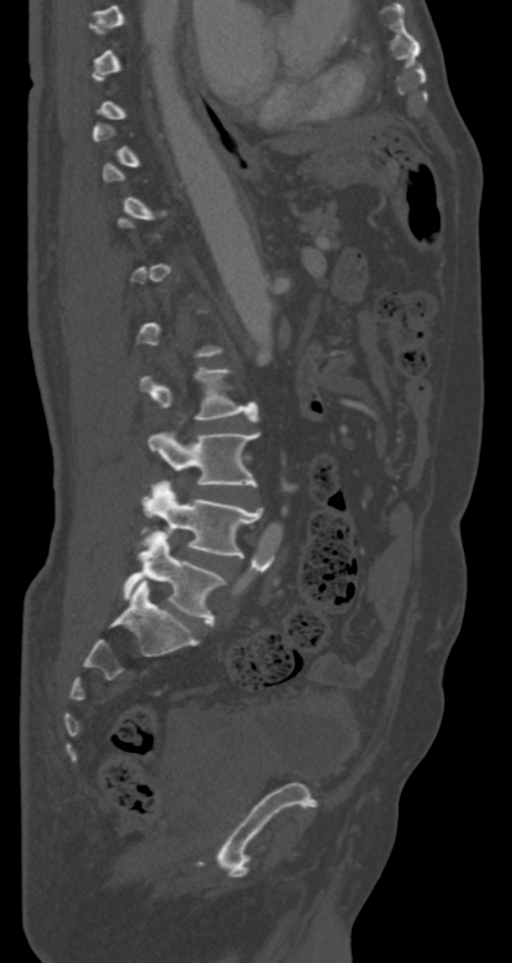

CT · sagittal view · W/L 1800/400 HU

Boxes: x1:y1:x2:y2 in pixels.
Each vertebra is boxed only on the slices from the first to the last where its cross-section reaches a third of its largest, so a slice outside that range leaves it unboxed.
L2: 141:368:257:421
L3: 148:433:259:487
L4: 144:481:263:557
L5: 123:531:225:625